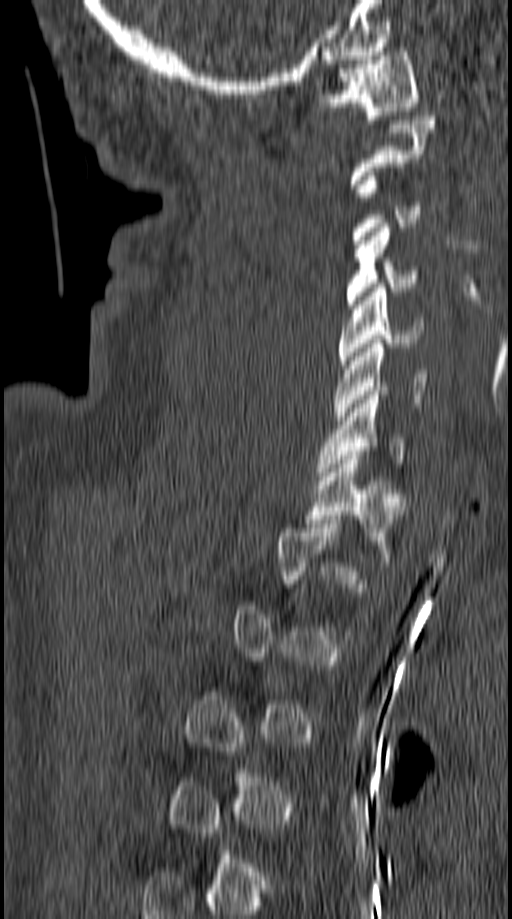

Spine computed tomography — sagittal reformat — Bone window (WL 400, WW 1800) — the image is 149 mm wide
Each vertebra is boxed only on the slices from the first to the last where its cross-section reaches a third of its largest, so a slice outside that range leaves it unboxed.
<vertebrae><v name="T1" x1="307" y1="451" x2="404" y2="536"/><v name="C7" x1="317" y1="391" x2="402" y2="476"/><v name="C6" x1="333" y1="344" x2="428" y2="420"/><v name="C5" x1="338" y1="283" x2="423" y2="368"/><v name="C4" x1="346" y1="223" x2="416" y2="308"/><v name="C1" x1="317" y1="52" x2="420" y2="119"/></vertebrae>